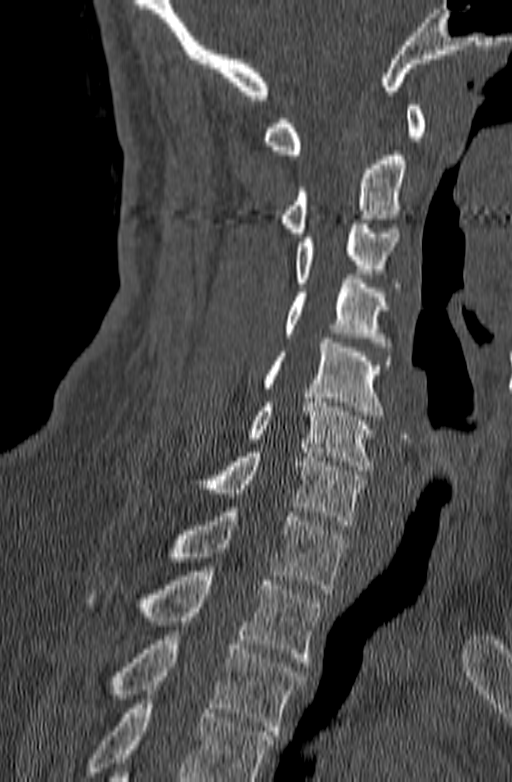
Spine computed tomography · sagittal view · 140 mm image width
Where the bottom of the scan cuts through a vertebra, that vertebra gets no label or box.
<vertebrae><v name="T3" x1="114" y1="631" x2="305" y2="735"/><v name="T2" x1="86" y1="571" x2="322" y2="662"/><v name="T1" x1="171" y1="507" x2="348" y2="593"/><v name="C7" x1="202" y1="448" x2="362" y2="525"/><v name="C6" x1="246" y1="398" x2="375" y2="470"/><v name="C5" x1="263" y1="338" x2="391" y2="420"/><v name="C4" x1="284" y1="279" x2="392" y2="351"/><v name="C3" x1="296" y1="219" x2="399" y2="287"/><v name="C2" x1="279" y1="151" x2="406" y2="237"/><v name="C1" x1="262" y1="105" x2="425" y2="159"/></vertebrae>